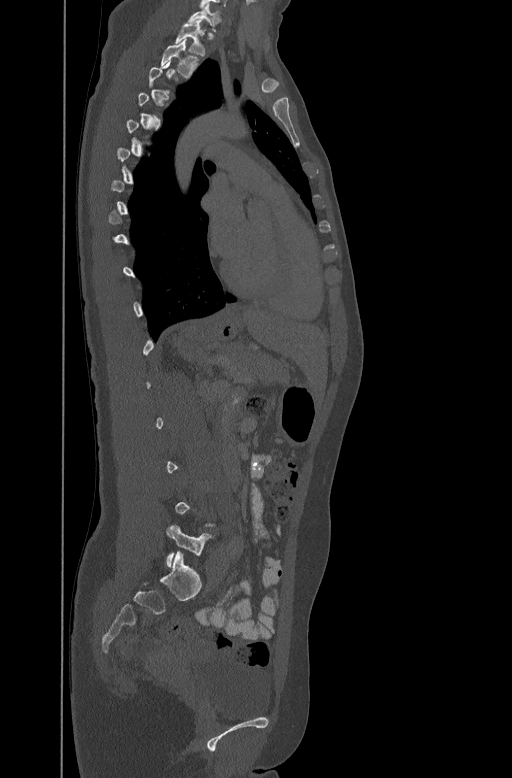 CT — sagittal view — bone-window reconstruction — 447 mm across the image — 512x778 px. Each box given as x1,y1,x2,y2.
A vertebra gets a box only on the slices from the first to the last where its cross-section is at least a third of its largest; on a slice outside that range it gets none.
Vertebra bounding boxes:
- L5: x1=166, y1=525, x2=214, y2=567
- T2: x1=160, y1=38, x2=199, y2=76
- T1: x1=175, y1=23, x2=205, y2=55
- C7: x1=188, y1=5, x2=221, y2=25